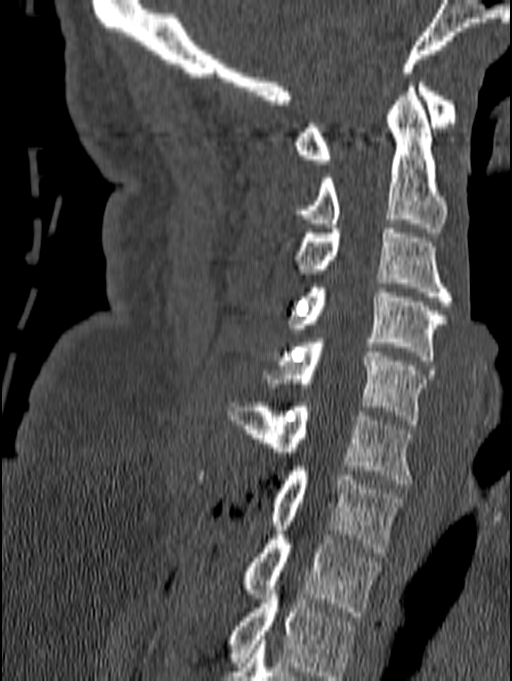 Computed tomography of the spine. sagittal view. 512x681 px

In the table, x1 and y1 are a box's top-left corner and x2 and y2 its bottom-right corner, in pixels.
The highest labeled vertebra in this scan is C1; the lowest is T1.
| vertebra | x1 | y1 | x2 | y2 |
|---|---|---|---|---|
| C1 | 294 | 78 | 456 | 164 |
| C2 | 292 | 82 | 446 | 232 |
| C3 | 294 | 229 | 452 | 305 |
| C4 | 290 | 288 | 447 | 360 |
| C5 | 265 | 338 | 434 | 424 |
| C6 | 226 | 402 | 413 | 484 |
| C7 | 272 | 466 | 403 | 552 |
| T1 | 246 | 526 | 381 | 616 |